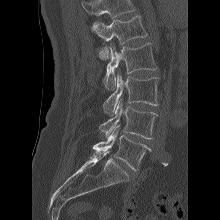 Computed tomography of the spine — the image is 220 mm wide — sagittal view
Vertebrae that run past the top of the scan are left unlabeled.
<vertebrae><v name="L1" x1="92" y1="15" x2="147" y2="59"/><v name="L2" x1="102" y1="43" x2="157" y2="90"/><v name="L3" x1="103" y1="72" x2="159" y2="116"/><v name="L4" x1="99" y1="99" x2="157" y2="139"/><v name="L5" x1="93" y1="125" x2="151" y2="170"/></vertebrae>